Computed tomography of the spine. sagittal view. 768x1012 px
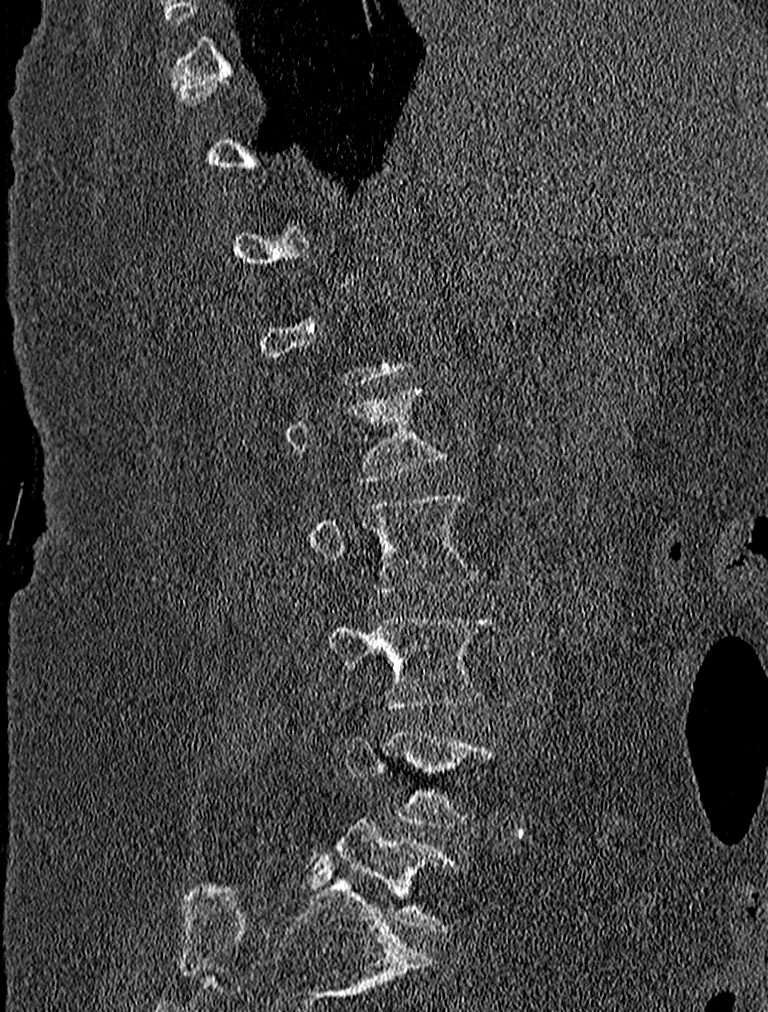
A vertebra gets a box only on the slices from the first to the last where its cross-section is at least a third of its largest; on a slice outside that range it gets none.
<vertebrae><v name="L5" x1="306" y1="818" x2="458" y2="931"/><v name="L4" x1="341" y1="731" x2="495" y2="826"/><v name="L3" x1="327" y1="614" x2="492" y2="708"/><v name="L2" x1="310" y1="495" x2="478" y2="593"/></vertebrae>